Spine CT · image 399 mm wide · Sagittal slice 218/512 · bone window
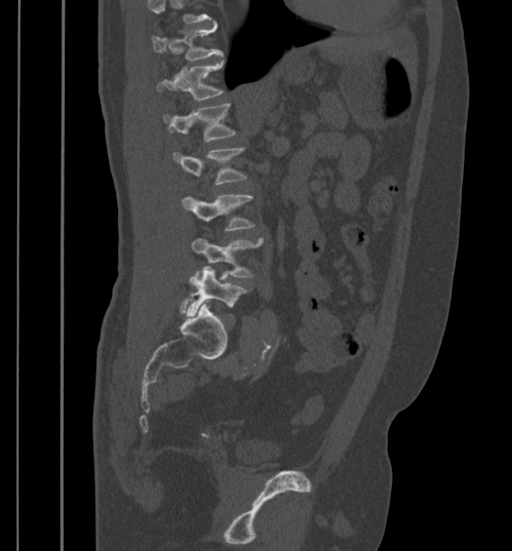
Each box is [x1, y1, x2, y2] in pixels: top-left corner, then bottom-right corner.
Where the top of the scan cuts through a vertebra, that vertebra gets no label or box.
{"vertebrae":{"T11":[151,24,222,61],"T12":[156,60,223,100],"L1":[163,103,236,141],"L2":[173,147,247,185],"L3":[182,195,254,231],"L4":[191,238,263,277],"L5":[186,267,248,317]}}